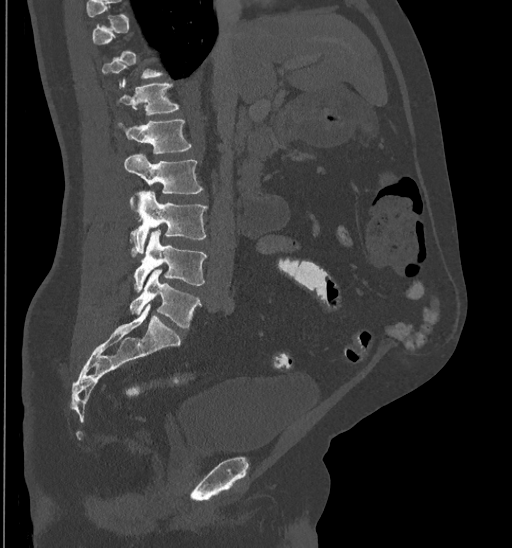
Computed tomography of the spine. sagittal view. 435 mm wide
Boxes below are [x1, y1, x2, y2] in pixels.
A vertebra is boxed only from the first to the last slice where its cross-section is at least a third of its largest; slices outside that range leave it without a box.
{"vertebrae":{"L5":[130,270,201,327],"L4":[134,230,206,291],"L3":[129,191,207,256],"L2":[125,154,203,210],"L1":[117,120,192,154],"T12":[115,77,179,114]}}